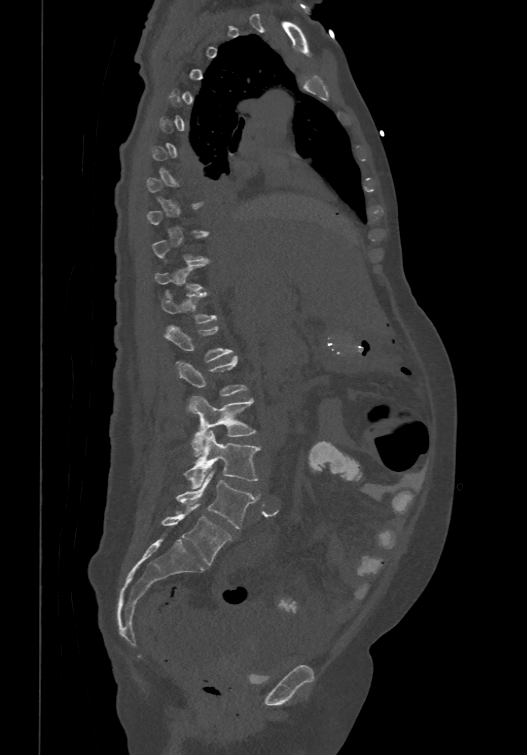
CT spine. 474 mm wide. sagittal view. W/L 1800/400 HU
Each vertebra maps to its box as [x1, y1, x2, y2], the pixel coordinates of its top-left and bottom-right corners.
A vertebra gets a box only on the slices from the first to the last where its cross-section is at least a third of its largest; on a slice outside that range it gets none.
In these labels the spine has an L6, a sixth lumbar vertebra below L5.
{"vertebrae":{"T12":[160,290,217,323],"L1":[165,323,233,361],"L2":[177,355,248,395],"L3":[188,396,255,456],"L4":[184,431,260,488],"L5":[177,473,257,528],"L6":[161,503,231,565]}}